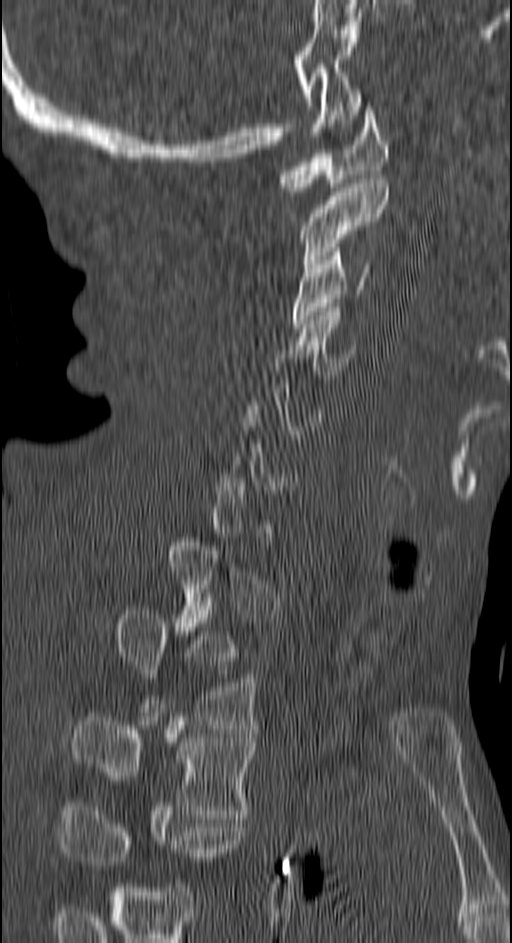

CT spine; image 150 mm wide; sagittal view; 512x943 px
Boxes below are [x1, y1, x2, y2] in pixels.
Each vertebra is boxed only on the slices from the first to the last where its cross-section reaches a third of its largest, so a slice outside that range leaves it unboxed.
This scan's labels start at C1 at the top and end at T4 at the bottom.
{"vertebrae":{"T4":[59,806,243,865],"T3":[69,713,253,818],"T2":[114,610,256,729],"C4":[291,311,355,383],"C3":[291,247,374,328],"C2":[302,179,389,268],"C1":[278,102,389,191]}}